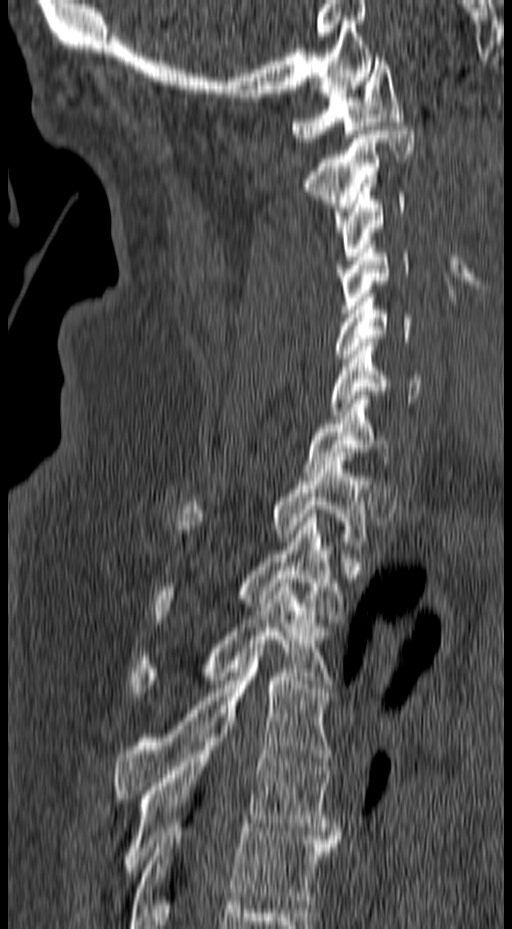 CT. sagittal view. image 157 mm wide
Coordinates as <box>x1,y1,x2,y2</box>.
Vertebra bounding boxes:
- C1: <box>291,57,405,142</box>
- C2: <box>301,126,414,231</box>
- C3: <box>333,188,405,260</box>
- C4: <box>336,245,409,313</box>
- C5: <box>333,294,412,358</box>
- C6: <box>330,338,421,419</box>
- C7: <box>302,391,393,476</box>
- T1: <box>174,457,371,545</box>
- T2: <box>151,514,343,627</box>
- T3: <box>131,579,333,696</box>
- T4: <box>112,648,336,798</box>
- T5: <box>122,726,343,871</box>
- T6: <box>129,819,339,928</box>